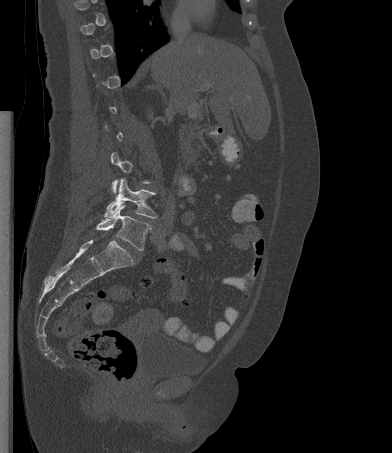
CT spine. sagittal view. 392x453 px
Boxes: x1 y1 x2 y2 (pixel coords, space-separated). Each vertebra is boxed only on the slices from the first to the last where its cross-section reaches a third of its largest, so a slice outside that range leaves it unboxed. Vertebrae labeled: L5 at 96 205 150 250, L4 at 104 178 157 218.